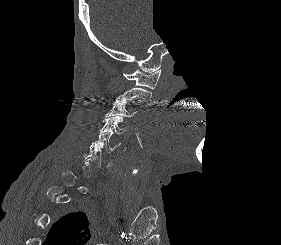
Spine computed tomography — sagittal view — 281x245 px — some of the image was removed or blocked out with constant pixels

Each box given as x1,y1,x2,y2.
A vertebra gets a box only on the slices from the first to the last where its cross-section is at least a third of its largest; on a slice outside that range it gets none.
Vertebra bounding boxes:
- C1: x1=123, y1=68, x2=160, y2=89
- C2: x1=113, y1=88, x2=152, y2=104
- C3: x1=105, y1=101, x2=137, y2=117
- C4: x1=100, y1=116, x2=128, y2=134
- C5: x1=90, y1=132, x2=120, y2=152
- C6: x1=84, y1=146, x2=111, y2=167